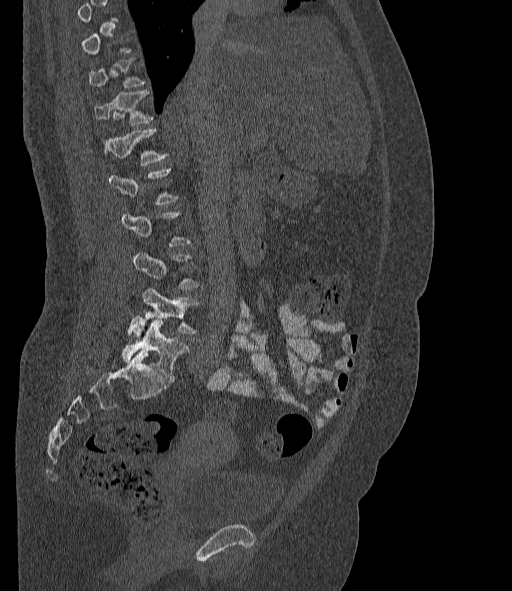
CT, spine. sagittal view. image 377 mm wide. bone-window reconstruction
Boxes: x1:y1:x2:y2 in pixels.
Each vertebra is boxed only on the slices from the first to the last where its cross-section reaches a third of its largest, so a slice outside that range leaves it unboxed.
The labels name a sixth lumbar vertebra for this spine: L6, after L5.
Vertebra bounding boxes:
- L6: 122:321:189:379
- L5: 129:288:198:337
- L4: 133:253:198:288
- L2: 108:167:178:204
- L1: 102:128:167:165
- T12: 94:90:154:125
- T11: 89:57:145:87